CT spine; sagittal view; 162x216 px; 6 vertebrae labeled in this scan; the image is 162 mm wide
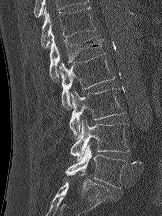
<vertebrae><v name="T12" x1="40" y1="7" x2="95" y2="49"/><v name="L1" x1="49" y1="33" x2="103" y2="81"/><v name="L2" x1="59" y1="53" x2="115" y2="110"/><v name="L3" x1="69" y1="88" x2="125" y2="137"/><v name="L4" x1="70" y1="119" x2="129" y2="159"/><v name="L5" x1="64" y1="144" x2="126" y2="188"/></vertebrae>